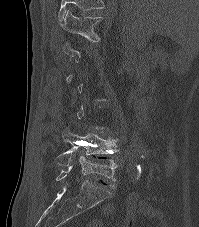
Spine computed tomography · sagittal reformat · the image is 199 mm wide · bone-window reconstruction · 199x227 px
Bounding boxes as [x1, y1, x2, y2] in pixel coordinates.
Each vertebra is boxed only on the slices from the first to the last where its cross-section reaches a third of its largest, so a slice outside that range leaves it unboxed.
The highest labeled vertebra in this scan is T12; the lowest is L5.
T12: [59, 10, 101, 41]
L4: [54, 127, 118, 165]
L5: [56, 155, 117, 181]